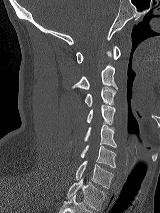

Spine CT · sagittal view · bone window · 160x213 px
Boxes: x1 y1 x2 y2 (pixel coords, space-separated).
C1: 76 46 120 63
C2: 71 51 117 89
C3: 85 87 115 106
C4: 86 105 115 125
C5: 84 125 116 147
C6: 81 145 115 167
C7: 75 161 113 188
T1: 67 178 106 210